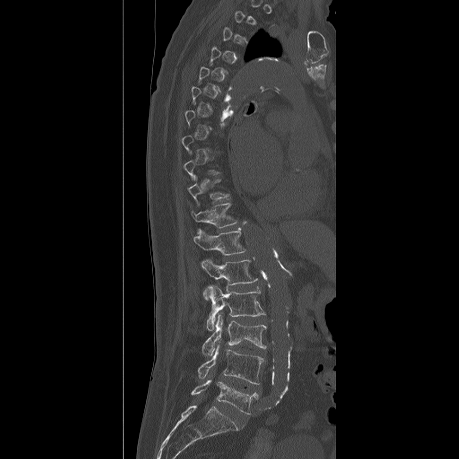
Computed tomography of the spine. sagittal view. 459x459 px. 459 mm across the image
Not every vertebra on this slice has a box: a vertebra is boxed only from the first to the last slice where its cross-section is at least a third of its largest, and this slice is outside that range for at least one of them.
<vertebrae><v name="T11" x1="191" y1="203" x2="237" y2="227"/><v name="T12" x1="193" y1="228" x2="245" y2="255"/><v name="L1" x1="200" y1="259" x2="257" y2="285"/><v name="L2" x1="205" y1="284" x2="264" y2="330"/><v name="L3" x1="202" y1="313" x2="266" y2="357"/><v name="L4" x1="198" y1="344" x2="264" y2="384"/><v name="L5" x1="191" y1="380" x2="257" y2="414"/></vertebrae>